Spine CT — sagittal plane, index 36 — Bone window (WL 400, WW 1800) — 7 vertebrae labeled in this scan
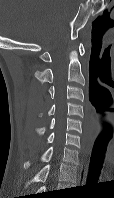
Box edges are left/top/right/bottom in pixels.
This scan's labels start at C1 at the top and end at C7 at the bottom.
| vertebra | x1 | y1 | x2 | y2 |
|---|---|---|---|---|
| C1 | 39 | 43 | 84 | 62 |
| C2 | 35 | 49 | 84 | 85 |
| C3 | 48 | 85 | 83 | 101 |
| C4 | 39 | 102 | 83 | 117 |
| C5 | 36 | 117 | 81 | 134 |
| C6 | 47 | 132 | 80 | 147 |
| C7 | 24 | 146 | 78 | 167 |